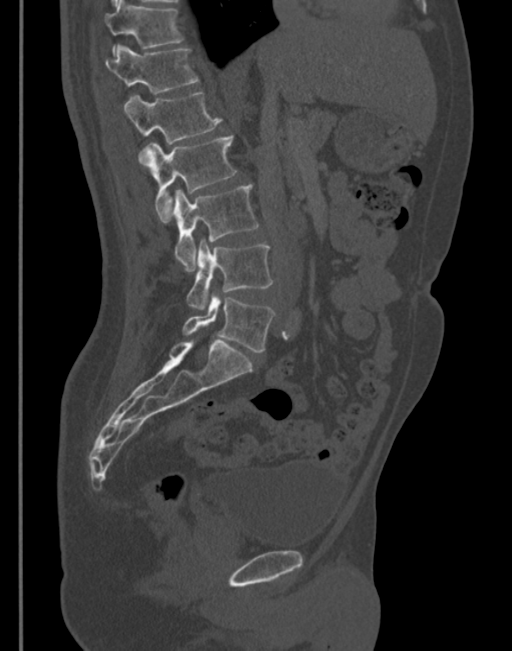 Spine computed tomography. sagittal view. Bone window (WL 400, WW 1800). 512x651 px. 345 mm across the image. Box edges are left/top/right/bottom in pixels.
| vertebra | x1 | y1 | x2 | y2 |
|---|---|---|---|---|
| L5 | 182 | 293 | 275 | 352 |
| L4 | 187 | 241 | 272 | 310 |
| L3 | 172 | 185 | 258 | 270 |
| L2 | 139 | 134 | 236 | 220 |
| L1 | 123 | 93 | 221 | 144 |
| T12 | 105 | 45 | 199 | 93 |
| T11 | 105 | 0 | 183 | 57 |